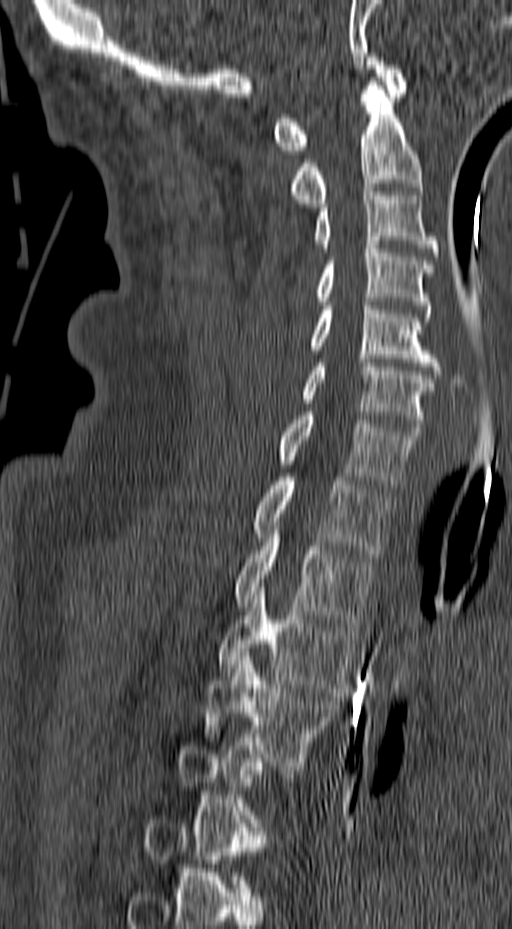

Computed tomography of the spine — sagittal view — 157 mm wide — bone window — 512x929 px

Each box given as x1,y1,x2,y2.
A vertebra is boxed only from the first to the last slice where its cross-section is at least a third of its largest; slices outside that range leave it without a box.
Vertebra bounding boxes:
- T4: x1=202, y1=652, x2=339, y2=765
- T3: x1=218, y1=583, x2=359, y2=696
- T2: x1=233, y1=518, x2=375, y2=627
- T1: x1=252, y1=477, x2=391, y2=557
- C7: x1=278, y1=412, x2=421, y2=488
- C6: x1=301, y1=359, x2=434, y2=431
- C5: x1=311, y1=302, x2=443, y2=374
- C4: x1=314, y1=245, x2=435, y2=317
- C3: x1=314, y1=188, x2=440, y2=260
- C2: x1=288, y1=82, x2=422, y2=207
- C1: x1=274, y1=57, x2=407, y2=154